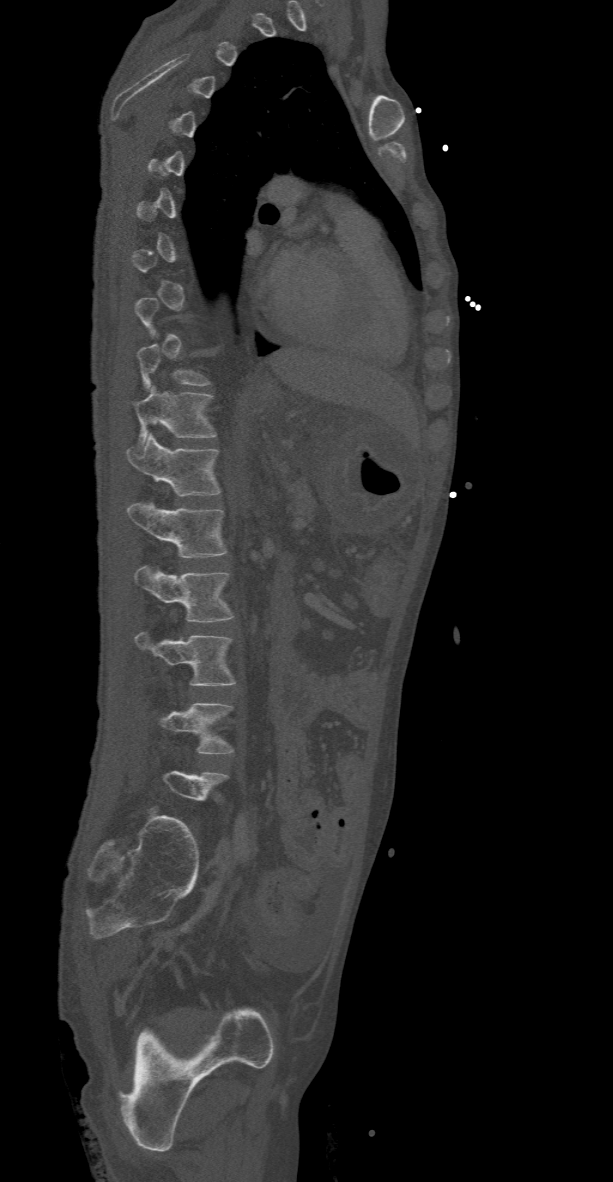
CT — sagittal view
Boxes: x1 y1 x2 y2 (pixel coords, space-separated).
A vertebra gets a box only on the slices from the first to the last where its cross-section is at least a third of its largest; on a slice outside that range it gets none.
Vertebra bounding boxes:
- T10: 137 344 212 390
- T11: 134 386 217 453
- T12: 127 434 221 496
- L1: 127 501 227 558
- L2: 134 566 235 621
- L3: 134 632 235 685
- L4: 145 701 234 753